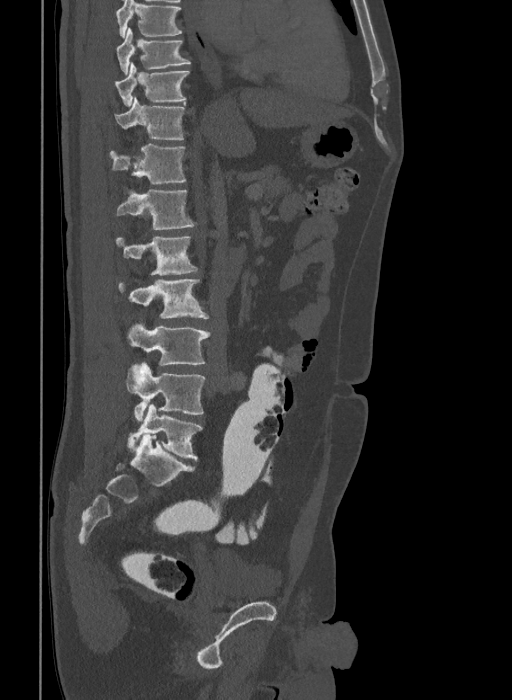 Spine computed tomography; sagittal view; bone window

Each box is [x1, y1, x2, y2] in pixels: top-left corner, then bottom-right corner.
The highest labeled vertebra in this scan is T9; the lowest is L6.
These labels give the spine a sixth lumbar vertebra, L6, below L5.
{"vertebrae":{"L6":[128,404,203,460],"L5":[126,363,205,420],"L4":[126,322,210,365],"L3":[118,279,209,319],"L2":[115,237,198,274],"L1":[118,189,197,229],"T12":[109,144,185,183],"T11":[115,97,185,139],"T10":[115,62,189,106],"T9":[116,27,190,74]}}